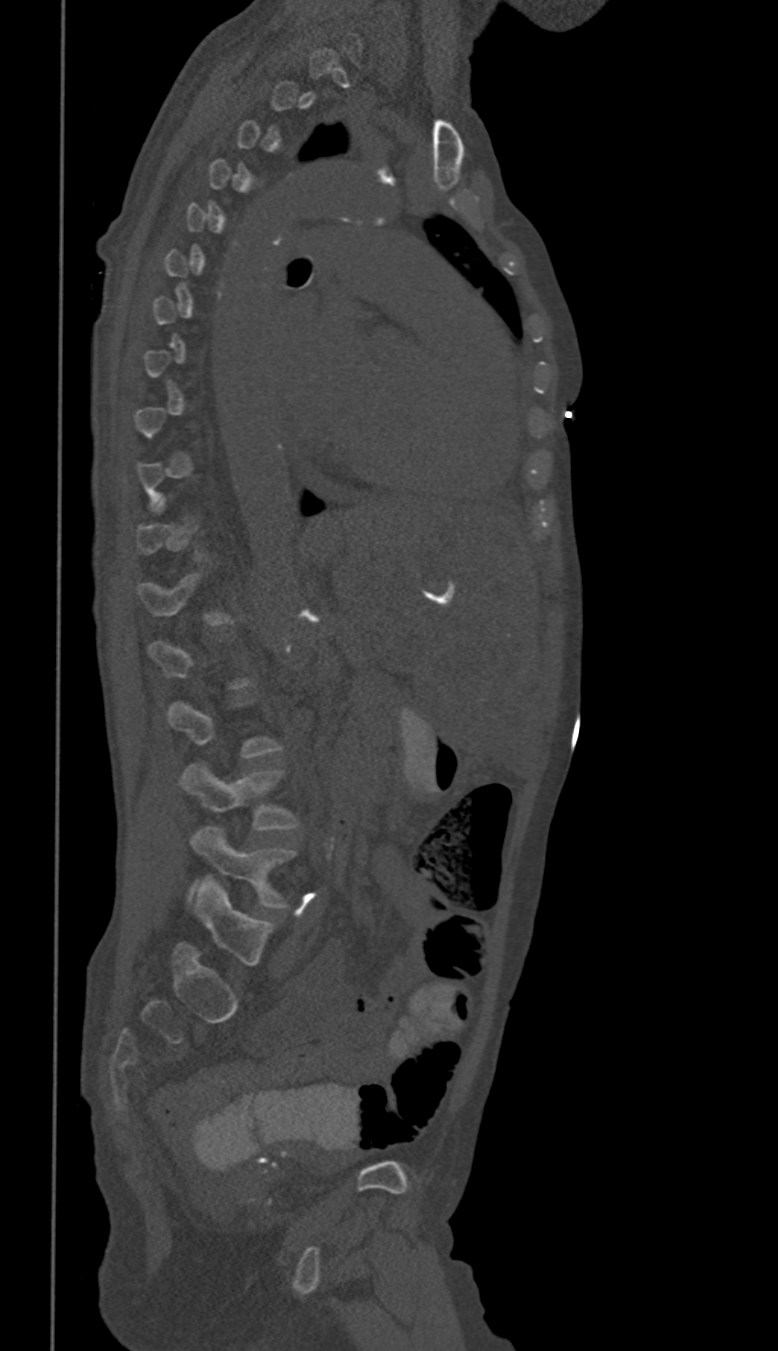 Spine computed tomography; sagittal view; 350 mm wide; W/L 1800/400 HU

A vertebra gets a box only on the slices from the first to the last where its cross-section is at least a third of its largest; on a slice outside that range it gets none.
<vertebrae><v name="L4" x1="179" y1="765" x2="297" y2="831"/><v name="L5" x1="191" y1="827" x2="294" y2="906"/></vertebrae>